CT spine · sagittal reformat · bone window
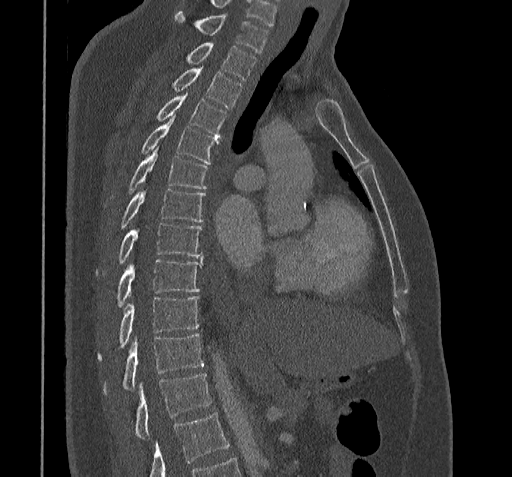
Bounding boxes as [x1, y1, x2, y2] in pixel coordinates. No box is given to a vertebra that the bottom edge of the scan cuts off. The labeled vertebrae in this slice are: C7 at [175, 10, 267, 52], T1 at [187, 43, 255, 79], T2 at [173, 67, 242, 108], T3 at [157, 92, 226, 136], T4 at [141, 113, 217, 164], T5 at [128, 146, 208, 191], T6 at [122, 189, 205, 227], T7 at [119, 222, 202, 262], T8 at [117, 259, 202, 305], T9 at [98, 295, 199, 360], T10 at [105, 333, 204, 391], T11 at [135, 374, 212, 437].